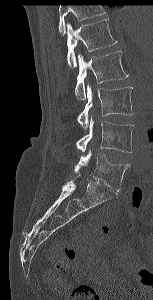

Spine computed tomography · sagittal view
Each box is [x1, y1, x2, y2] in pixels: top-left corner, then bottom-right corner.
A vertebra cut off by the top edge of the scan is not labeled and has no box.
{"vertebrae":{"L1":[66,18,117,67],"L2":[74,51,128,100],"L3":[76,85,133,129],"L4":[75,119,134,152],"L5":[74,151,129,191]}}